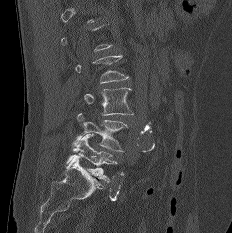 Spine CT — sagittal view

Box edges are left/top/right/bottom in pixels. A vertebra gets a box only on the slices from the first to the last where its cross-section is at least a third of its largest; on a slice outside that range it gets none. The labeled vertebrae in this slice are: L5 at left=66, top=134, right=117, bottom=181, L4 at left=72, top=113, right=128, bottom=152, L3 at left=83, top=88, right=132, bottom=115.